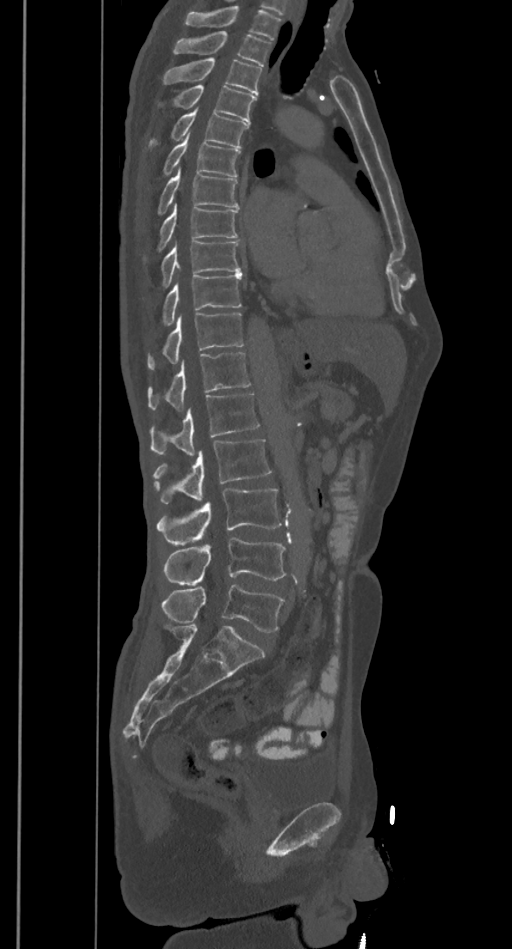
Spine computed tomography. sagittal view. 512x949 px. image width 385 mm

Where the top of the scan cuts through a vertebra, that vertebra gets no label or box.
<vertebrae><v name="T2" x1="173" y1="31" x2="270" y2="66"/><v name="T3" x1="163" y1="59" x2="261" y2="95"/><v name="T4" x1="173" y1="85" x2="257" y2="122"/><v name="T5" x1="149" y1="108" x2="247" y2="147"/><v name="T6" x1="163" y1="134" x2="240" y2="176"/><v name="T7" x1="157" y1="169" x2="238" y2="216"/><v name="T8" x1="143" y1="203" x2="237" y2="261"/><v name="T9" x1="161" y1="241" x2="241" y2="289"/><v name="T10" x1="162" y1="274" x2="241" y2="326"/><v name="T11" x1="147" y1="312" x2="244" y2="370"/><v name="T12" x1="147" y1="352" x2="250" y2="411"/><v name="L1" x1="150" y1="394" x2="259" y2="455"/><v name="L2" x1="153" y1="438" x2="271" y2="503"/><v name="L3" x1="157" y1="487" x2="282" y2="545"/><v name="L4" x1="163" y1="537" x2="286" y2="585"/><v name="L5" x1="161" y1="585" x2="285" y2="632"/></vertebrae>